Spine CT; sagittal view
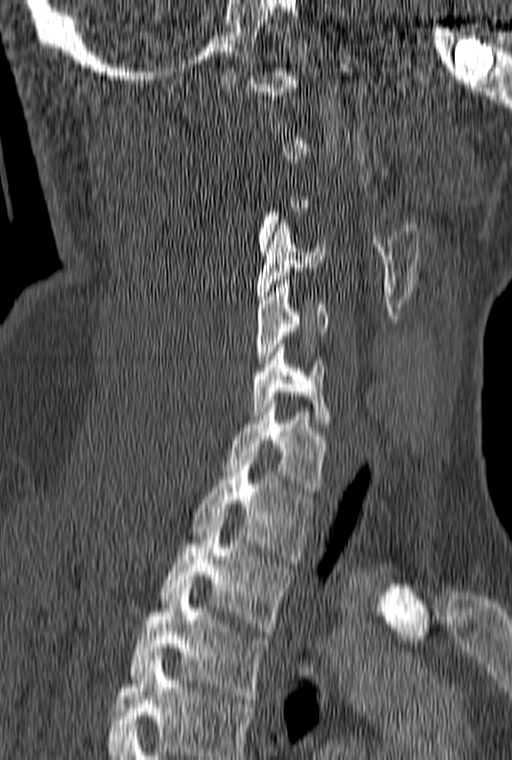

Each box given as x1,y1,x2,y2.
A vertebra gets a box only on the slices from the first to the last where its cross-section is at least a third of its largest; on a slice outside that range it gets none.
Labels in this scan begin with C1 at the top and end with T3 at the bottom.
| vertebra | x1 | y1 | x2 | y2 |
|---|---|---|---|---|
| C4 | 257 | 220 | 326 | 303 |
| C5 | 256 | 280 | 327 | 367 |
| C6 | 251 | 344 | 333 | 427 |
| C7 | 225 | 400 | 330 | 495 |
| T1 | 191 | 452 | 314 | 559 |
| T2 | 161 | 520 | 291 | 635 |
| T3 | 129 | 588 | 269 | 703 |